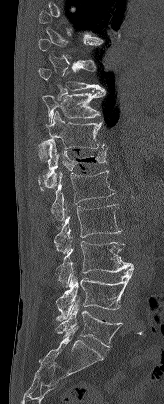 CT · sagittal reformat · 164x404 px
Each box given as x1,y1,x2,y2.
A vertebra gets a box only on the slices from the first to the last where its cross-section is at least a third of its largest; on a slice outside that range it gets none.
Vertebra bounding boxes:
- T9: x1=38, y1=64, x2=104, y2=91
- T10: x1=42, y1=91, x2=105, y2=124
- T11: x1=37, y1=111, x2=107, y2=161
- T12: x1=38, y1=140, x2=107, y2=190
- L1: x1=48, y1=170, x2=115, y2=221
- L2: x1=53, y1=204, x2=121, y2=253
- L3: x1=56, y1=238, x2=133, y2=287
- L4: x1=56, y1=268, x2=135, y2=320
- L5: x1=55, y1=301, x2=122, y2=349